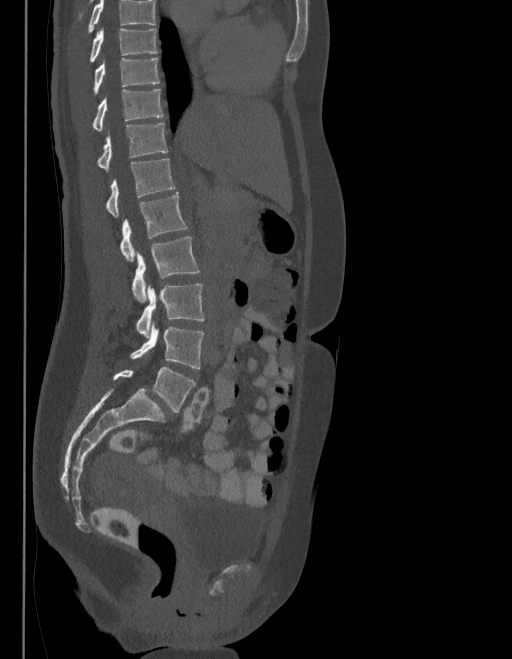 CT spine. sagittal view. image width 403 mm
Where the top of the scan cuts through a vertebra, that vertebra gets no label or box.
The labels name a sixth lumbar vertebra for this spine: L6, after L5.
<vertebrae><v name="L6" x1="113" y1="367" x2="196" y2="413"/><v name="L5" x1="129" y1="326" x2="203" y2="368"/><v name="L4" x1="136" y1="284" x2="203" y2="336"/><v name="L3" x1="132" y1="237" x2="200" y2="302"/><v name="L2" x1="119" y1="193" x2="187" y2="260"/><v name="L1" x1="105" y1="158" x2="174" y2="217"/><v name="T12" x1="96" y1="122" x2="168" y2="169"/><v name="T11" x1="91" y1="89" x2="163" y2="130"/><v name="T10" x1="93" y1="58" x2="159" y2="95"/><v name="T9" x1="89" y1="27" x2="158" y2="62"/></vertebrae>